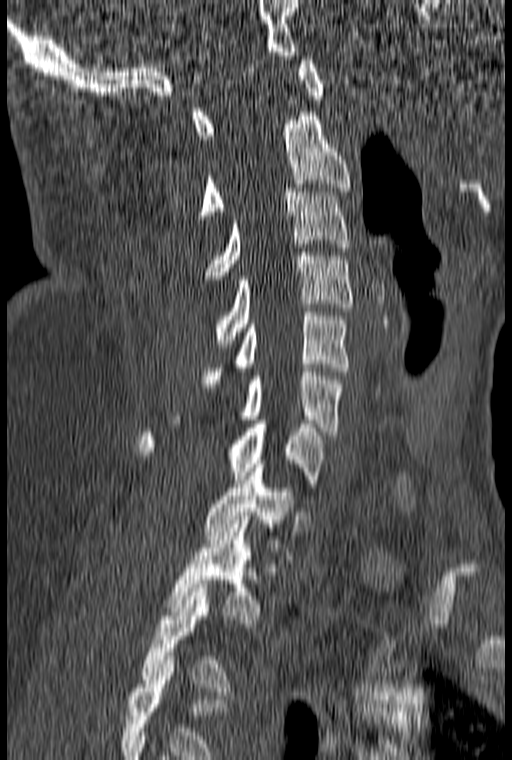

CT, spine; sagittal view; bone-window reconstruction
This scan's labels start at C1 at the top and end at T3 at the bottom.
<vertebrae><v name="C1" x1="192" y1="56" x2="325" y2="139"/><v name="C2" x1="199" y1="112" x2="350" y2="219"/><v name="C3" x1="206" y1="188" x2="349" y2="283"/><v name="C4" x1="215" y1="252" x2="352" y2="347"/><v name="C5" x1="200" y1="308" x2="349" y2="387"/><v name="C6" x1="172" y1="368" x2="343" y2="435"/><v name="C7" x1="138" y1="420" x2="324" y2="487"/><v name="T1" x1="203" y1="464" x2="295" y2="559"/><v name="T2" x1="168" y1="520" x2="259" y2="623"/><v name="T3" x1="142" y1="584" x2="227" y2="691"/></vertebrae>